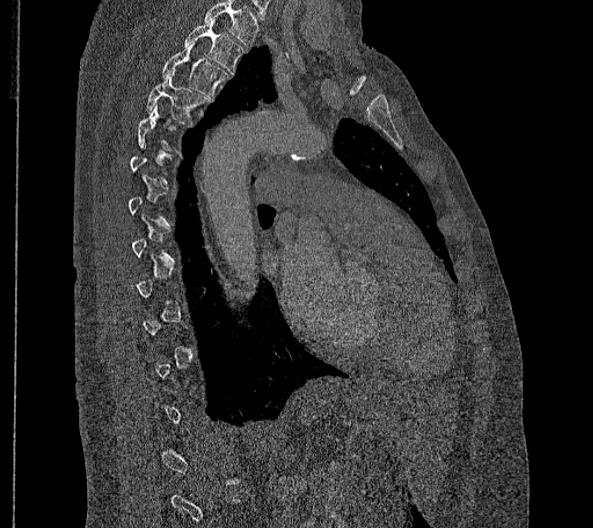

Spine computed tomography. sagittal view. 593x528 px
Box edges are left/top/right/bottom in pixels.
Not every vertebra on this slice has a box: a vertebra is boxed only from the first to the last slice where its cross-section is at least a third of its largest, and this slice is outside that range for at least one of them.
In this scan, the topmost labeled vertebra is T2 and the lowest is L2.
Vertebra bounding boxes:
- T2: left=184, top=18, right=246, bottom=74
- T3: left=161, top=41, right=228, bottom=99
- T4: left=146, top=70, right=209, bottom=125